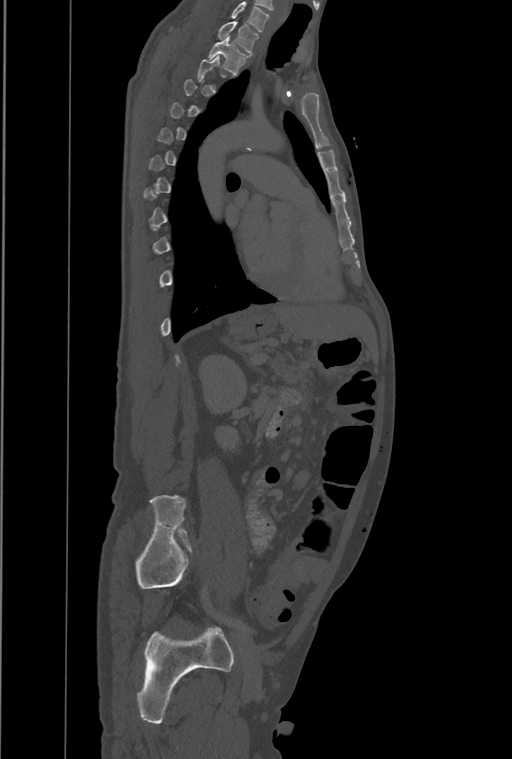 CT. sagittal view. W/L 1800/400 HU
Coordinates as <box>x1,y1,x2,y2</box>.
Not every vertebra on this slice has a box: a vertebra is boxed only from the first to the last slice where its cross-section is at least a third of its largest, and this slice is outside that range for at least one of them.
This scan's labels start at T1 at the top and end at L4 at the bottom.
Vertebra bounding boxes:
- T1: <box>217,21,258,54</box>
- T2: <box>208,37,249,74</box>